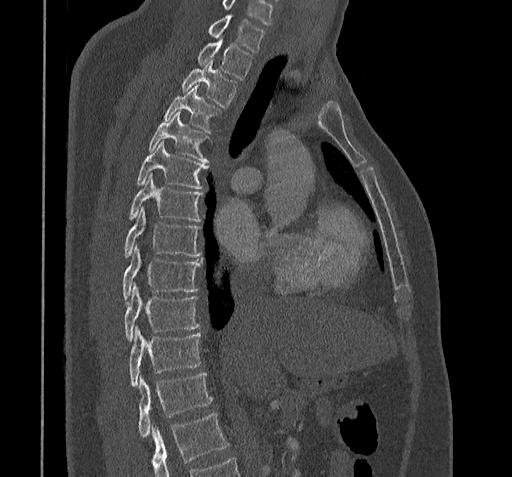

Spine computed tomography. sagittal reformat
Box values are [left, top, right, bottom] in pixels.
A vertebra cut off by the bottom edge of the scan is not labeled and has no box.
This scan's labels start at C7 at the top and end at T11 at the bottom.
{"vertebrae":{"C7":[208,16,264,51],"T1":[197,36,252,79],"T2":[183,59,237,106],"T3":[163,86,218,131],"T4":[149,113,207,162],"T5":[136,142,208,188],"T6":[128,175,202,221],"T7":[125,208,201,258],"T8":[122,246,201,301],"T9":[124,285,199,341],"T10":[128,326,201,385],"T11":[138,374,212,437]}}